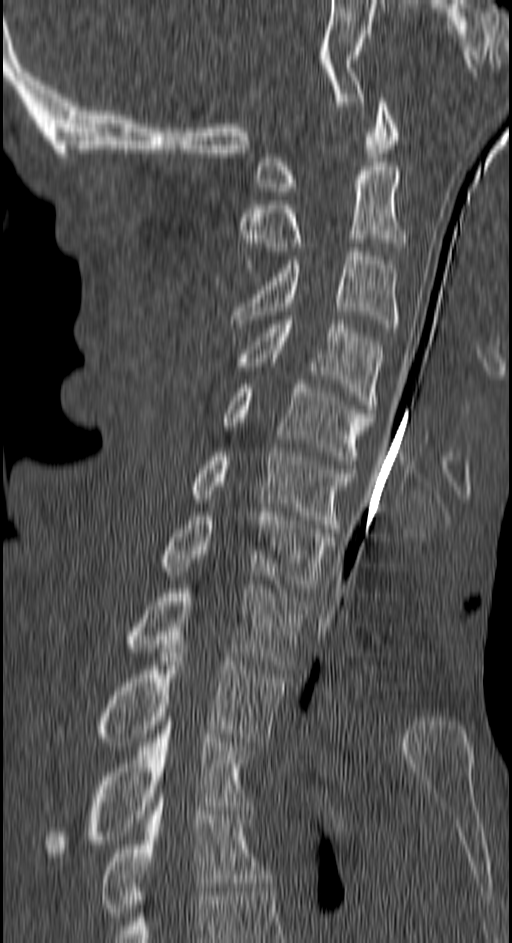 Spine computed tomography · sagittal reformat · W/L 1800/400 HU · 512x943 px
Boxes: x1:y1:x2:y2 in pixels.
C1: 253:98:396:195
C2: 240:166:406:264
C3: 232:247:400:328
C4: 237:316:383:413
C5: 223:384:374:468
C6: 189:448:355:532
C7: 162:512:335:592
T1: 124:585:305:669
T2: 59:644:285:746
T3: 46:721:249:861
T4: 100:802:270:921